Spine CT; sagittal plane, index 127; W/L 1800/400 HU; 250x671 px
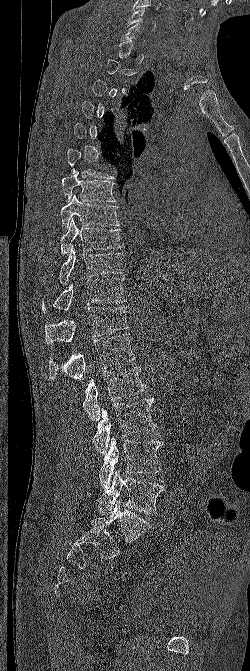

Each box given as x1,y1,x2,y2. A vertebra gets a box only on the slices from the first to the last where its cross-section is at least a third of its largest; on a slice outside that range it gets none. 12 vertebrae labeled — C6 at x1=126, y1=8, x2=155, y2=30; T7 at x1=62, y1=171, x2=116, y2=202; T8 at x1=60, y1=194, x2=119, y2=230; T9 at x1=60, y1=218, x2=123, y2=255; T10 at x1=58, y1=245, x2=123, y2=284; T11 at x1=42, y1=278, x2=126, y2=312; T12 at x1=45, y1=306, x2=129, y2=344; L1 at x1=49, y1=334, x2=135, y2=380; L2 at x1=82, y1=366, x2=145, y2=421; L3 at x1=93, y1=398, x2=156, y2=454; L4 at x1=99, y1=437, x2=163, y2=490; L5 at x1=96, y1=470, x2=164, y2=514.